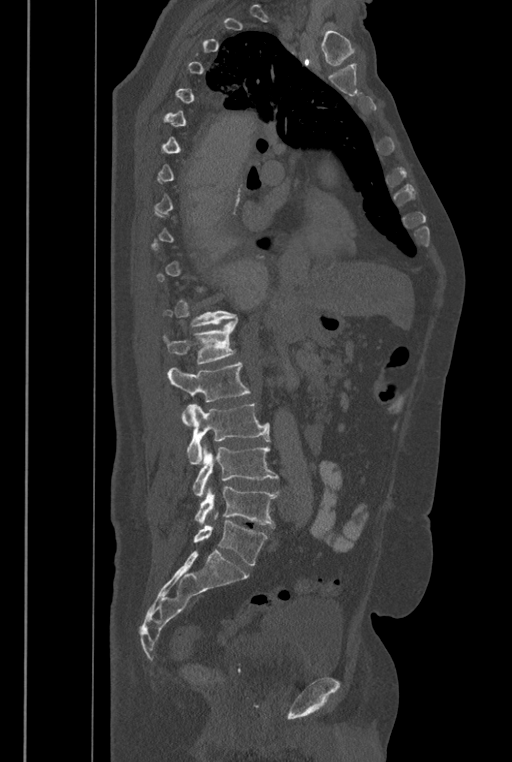
CT spine; sagittal view
Boxes: x1 y1 x2 y2 (pixel coords, space-separated).
A vertebra is boxed only from the first to the last slice where its cross-section is at least a third of its largest; slices outside that range leave it without a box.
The labels name a sixth lumbar vertebra for this spine: L6, after L5.
L1: 163 318 237 365
L2: 167 362 250 425
L3: 187 403 270 464
L4: 193 445 278 496
L5: 195 486 278 526
L6: 193 515 268 565